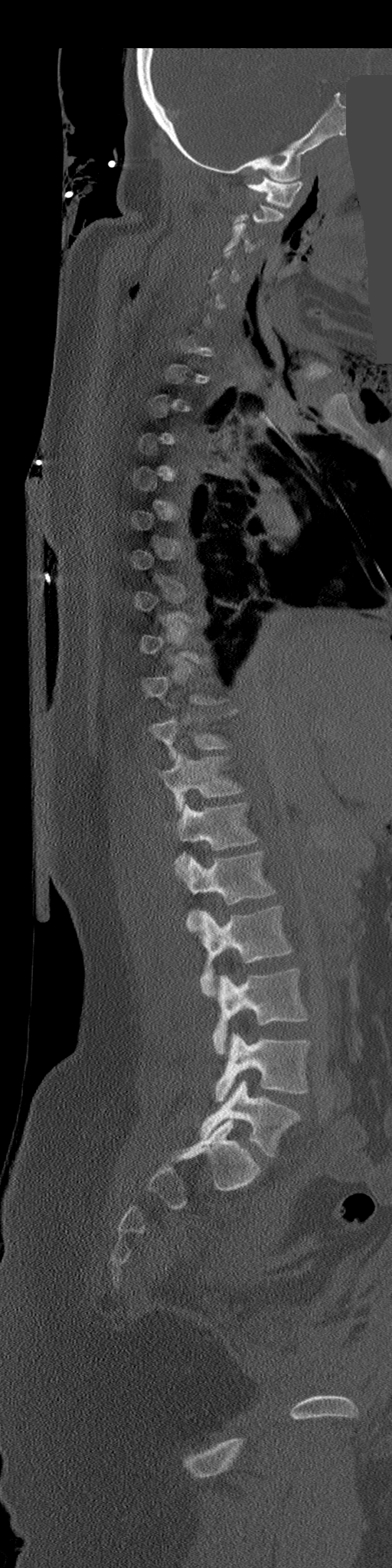

CT spine. sagittal view. W/L 1800/400 HU. the image is 206 mm wide. a region of this slice is masked with a uniform fill

Coordinates as <box>x1,y1,x2,y2</box>.
A vertebra gets a box only on the slices from the first to the last where its cross-section is at least a third of its largest; on a slice outside that range it gets none.
Vertebra bounding boxes:
- C1: <box>247,177,302,207</box>
- C3: <box>223,223,260,252</box>
- T10: <box>149,718,227,759</box>
- T11: <box>158,754,243,811</box>
- T12: <box>175,802,256,867</box>
- L1: <box>178,851,276,930</box>
- L2: <box>201,904,291,997</box>
- L3: <box>212,969,306,1054</box>
- L4: <box>216,1034,310,1102</box>
- L5: <box>201,1080,300,1157</box>